CT, spine; sagittal plane, index 275; 512x712 px; the image spans 350 mm across; 18 vertebrae labeled in this scan
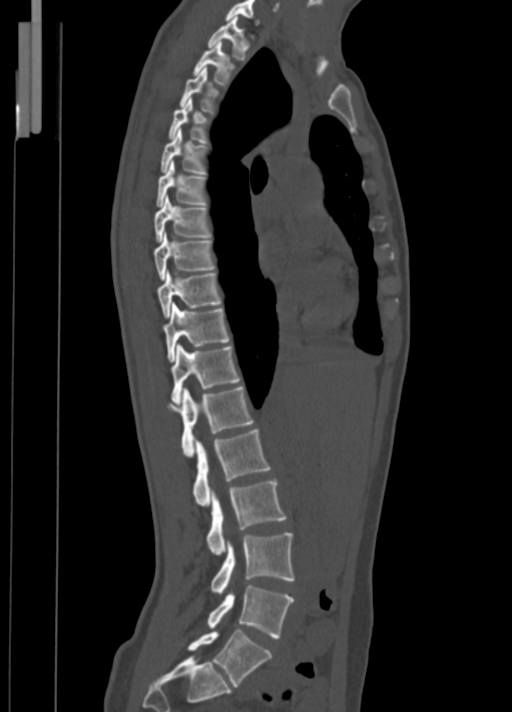
Bounding boxes as [x1, y1, x2, y2] in pixel coordinates. The labeled vertebrae in this slice are: C7 at [225, 0, 259, 24], T1 at [207, 16, 248, 59], T2 at [193, 41, 234, 84], T3 at [180, 67, 218, 112], T4 at [168, 98, 206, 142], T5 at [161, 129, 205, 173], T6 at [156, 161, 205, 207], T7 at [153, 196, 209, 242], T8 at [153, 233, 214, 278], T9 at [158, 271, 221, 318], T10 at [162, 303, 228, 362], T11 at [171, 344, 240, 404], T12 at [167, 386, 253, 457], L1 at [193, 429, 271, 507], L2 at [206, 480, 285, 555], L3 at [210, 532, 294, 594], L4 at [207, 585, 293, 638], L5 at [187, 629, 271, 687].